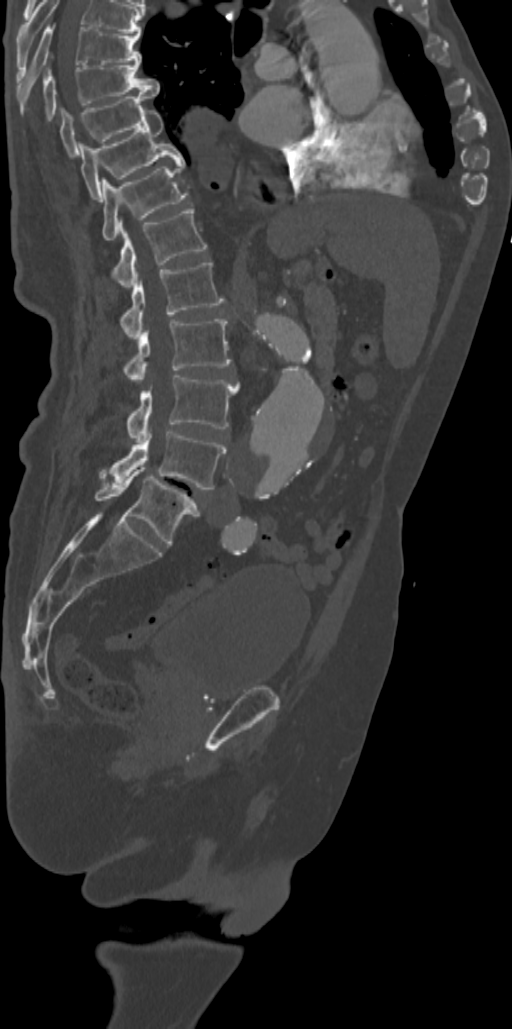

CT, spine · sagittal view · the image spans 342 mm across · 512x1029 px. Box edges are left/top/right/bottom in pixels.
The highest labeled vertebra in this scan is T7; the lowest is L5.
Vertebra bounding boxes:
- T7: left=17, top=25, right=141, bottom=107
- T8: left=43, top=63, right=159, bottom=120
- T9: left=60, top=94, right=153, bottom=156
- T10: left=79, top=110, right=184, bottom=201
- T11: left=102, top=162, right=187, bottom=239
- T12: left=112, top=207, right=207, bottom=287
- L1: left=120, top=261, right=225, bottom=340
- L2: left=123, top=319, right=231, bottom=381
- L3: left=127, top=375, right=238, bottom=442
- L4: left=100, top=431, right=226, bottom=489
- L5: left=94, top=467, right=199, bottom=545